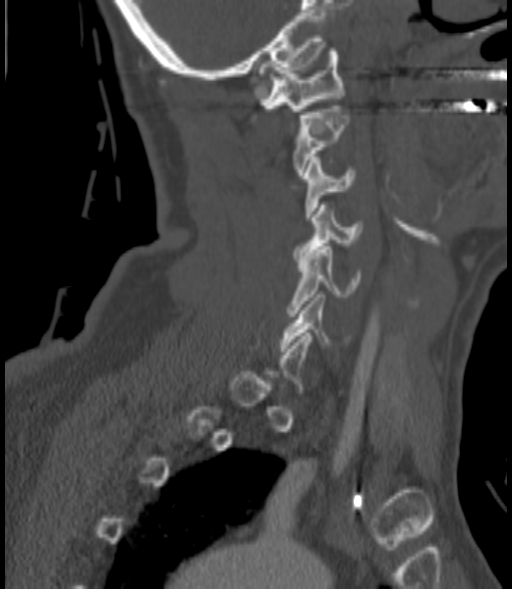
CT, spine; sagittal view; bone window; image width 200 mm

Boxes: x1 y1 x2 y2 (pixel coords, space-separated).
Each vertebra is boxed only on the slices from the first to the last where its cross-section reaches a third of its largest, so a slice outside that range leaves it unboxed.
C6: 280 294 350 351
C5: 288 246 359 316
C4: 295 205 361 261
C3: 304 157 355 220
C2: 293 106 349 175
C1: 258 48 343 111